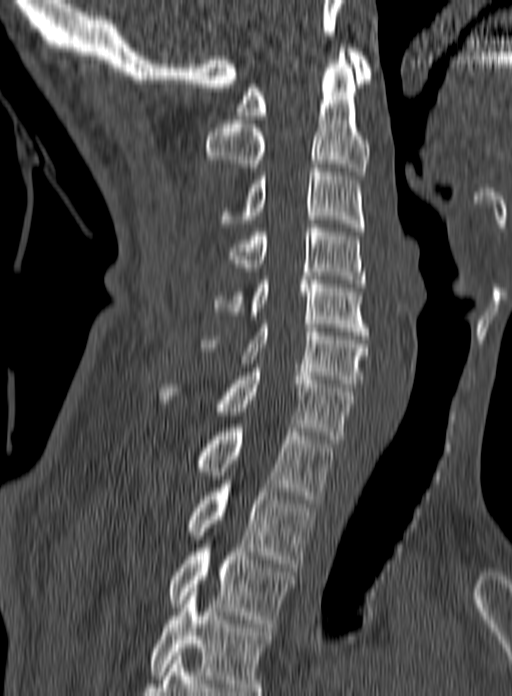 CT spine · sagittal view
Coordinates as <box>x1,y1,x2,y2</box>.
The highest labeled vertebra in this scan is C1; the lowest is T3.
Vertebra bounding boxes:
- C1: <box>236,48,371,119</box>
- C2: <box>204,48,369,175</box>
- C3: <box>217,164,365,231</box>
- C4: <box>227,224,366,287</box>
- C5: <box>213,280,368,335</box>
- C6: <box>201,320,368,387</box>
- C7: <box>158,368,354,443</box>
- T1: <box>196,428,333,503</box>
- T2: <box>187,484,314,571</box>
- T3: <box>168,548,296,627</box>